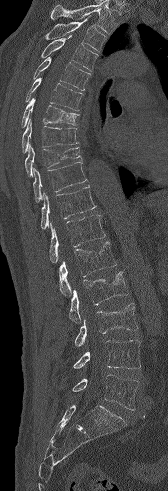 Computed tomography of the spine. sagittal view

A vertebra cut off by the top edge of the scan is not labeled and has no box.
<vertebrae><v name="T3" x1="44" y1="18" x2="107" y2="52"/><v name="T4" x1="41" y1="35" x2="98" y2="71"/><v name="T5" x1="33" y1="56" x2="91" y2="90"/><v name="T6" x1="25" y1="77" x2="83" y2="110"/><v name="T7" x1="21" y1="97" x2="78" y2="127"/><v name="T8" x1="22" y1="118" x2="78" y2="152"/><v name="T9" x1="25" y1="144" x2="81" y2="176"/><v name="T10" x1="33" y1="162" x2="87" y2="202"/><v name="T11" x1="41" y1="186" x2="96" y2="229"/><v name="T12" x1="49" y1="215" x2="105" y2="263"/><v name="L1" x1="59" y1="241" x2="116" y2="296"/><v name="L2" x1="69" y1="271" x2="128" y2="322"/><v name="L3" x1="74" y1="303" x2="138" y2="346"/><v name="L4" x1="73" y1="340" x2="140" y2="369"/><v name="L5" x1="72" y1="375" x2="139" y2="410"/></vertebrae>